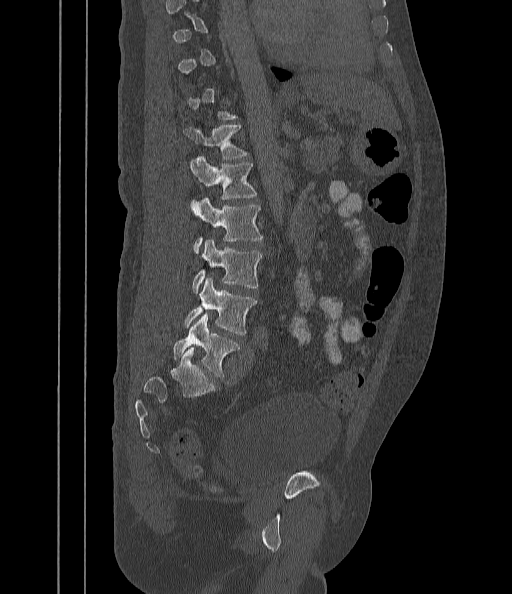

CT; sagittal view; 512x594 px; image 442 mm wide
Not every vertebra on this slice has a box: a vertebra is boxed only from the first to the last slice where its cross-section is at least a third of its largest, and this slice is outside that range for at least one of them.
<vertebrae><v name="L5" x1="174" y1="314" x2="240" y2="376"/><v name="L4" x1="185" y1="278" x2="257" y2="334"/><v name="L3" x1="192" y1="240" x2="262" y2="293"/><v name="L2" x1="195" y1="198" x2="263" y2="254"/><v name="L1" x1="190" y1="156" x2="257" y2="199"/><v name="T12" x1="184" y1="125" x2="249" y2="159"/></vertebrae>